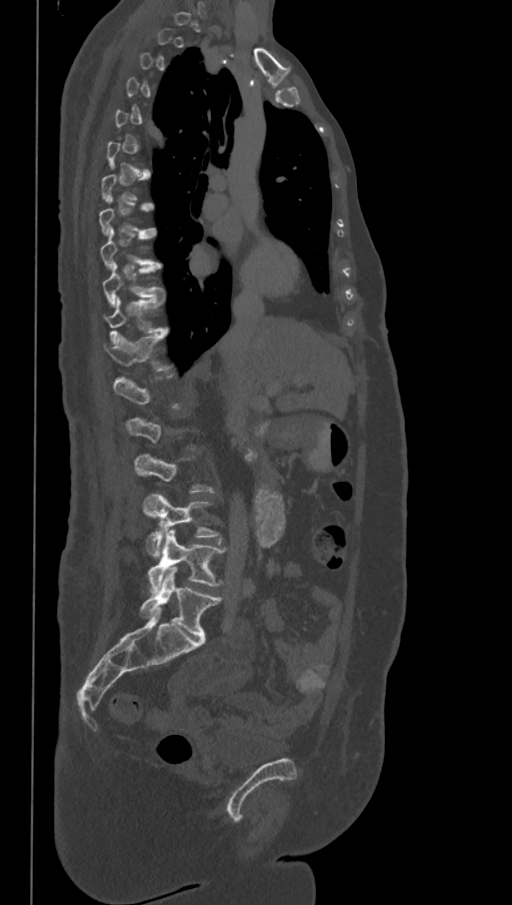
Spine CT. sagittal view. 512x905 px. Box edges are left/top/right/bottom in pixels.
A vertebra is boxed only from the first to the last slice where its cross-section is at least a third of its largest; slices outside that range leave it without a box.
These labels give the spine a sixth lumbar vertebra, L6, below L5.
T9: left=100, top=228, right=162, bottom=268
T10: left=103, top=263, right=163, bottom=306
T11: left=104, top=298, right=167, bottom=341
T12: left=104, top=331, right=170, bottom=370
L4: left=143, top=492, right=220, bottom=557
L5: left=147, top=530, right=226, bottom=591
L6: left=140, top=567, right=221, bottom=638